Spine computed tomography — 305 mm image width — Sagittal slice 98/164 — 512x1338 px
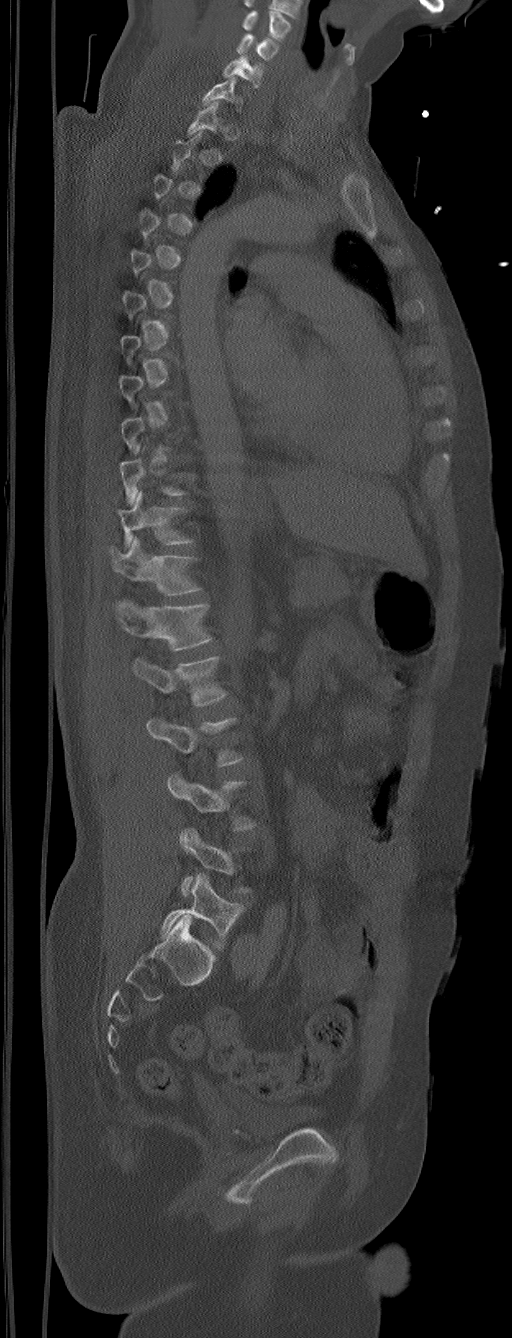

Boxes: x1:y1:x2:y2 in pixels. Each vertebra is boxed only on the slices from the first to the last where its cross-section reaches a third of its largest, so a slice outside that range leaves it unboxed. This scan's labels start at C5 at the top and end at L6 at the bottom. These labels give the spine a sixth lumbar vertebra, L6, below L5. 11 vertebrae labeled — L6 at 160:873:243:951; L5 at 180:828:251:895; L4 at 168:773:256:830; L3 at 146:717:243:767; L2 at 131:656:227:706; L1 at 114:600:213:651; T12 at 108:536:202:595; T11 at 117:491:194:547; C7 at 202:77:243:112; C6 at 223:56:263:88; C5 at 236:33:278:61.